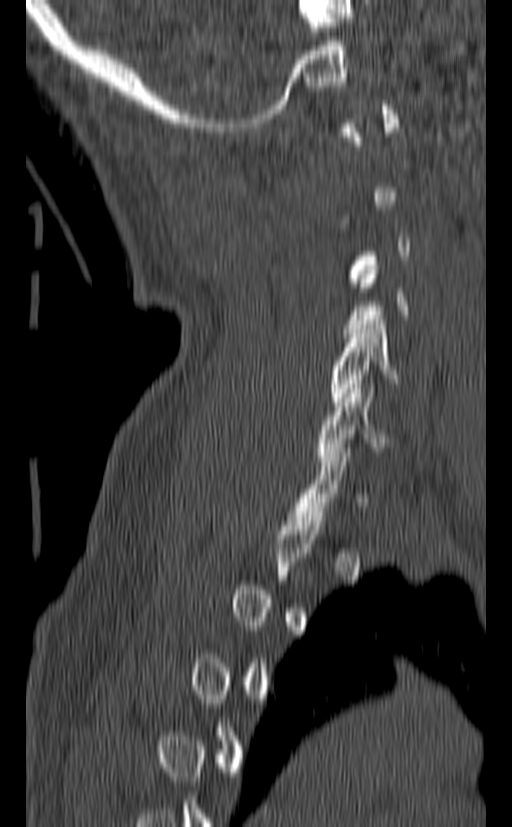

CT, spine · 140 mm wide · sagittal view

Bounding boxes as [x1, y1, x2, y2] in pixel coordinates.
Each vertebra is boxed only on the slices from the first to the last where its cross-section reaches a third of its largest, so a slice outside that range leaves it unboxed.
C6: [318, 384, 392, 465]
C5: [330, 320, 401, 406]